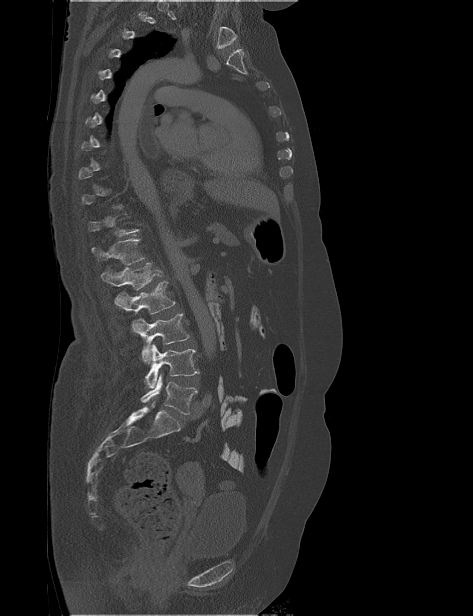 CT, spine · sagittal view · W/L 1800/400 HU · 473x616 px
Boxes are given in columns x1, y1, x2, y2, the pixel coordinates of their top-left and bottom-right corners.
Each vertebra is boxed only on the slices from the first to the last where its cross-section reaches a third of its largest, so a slice outside that range leaves it unboxed.
| vertebra | x1 | y1 | x2 | y2 |
|---|---|---|---|---|
| L5 | 141 | 374 | 197 | 414 |
| L4 | 144 | 344 | 199 | 388 |
| L3 | 131 | 313 | 189 | 363 |
| L2 | 115 | 280 | 175 | 314 |
| L1 | 101 | 262 | 162 | 290 |
| T12 | 91 | 238 | 145 | 265 |